CT; sagittal plane, index 364; image width 210 mm; Bone window (WL 400, WW 1800)
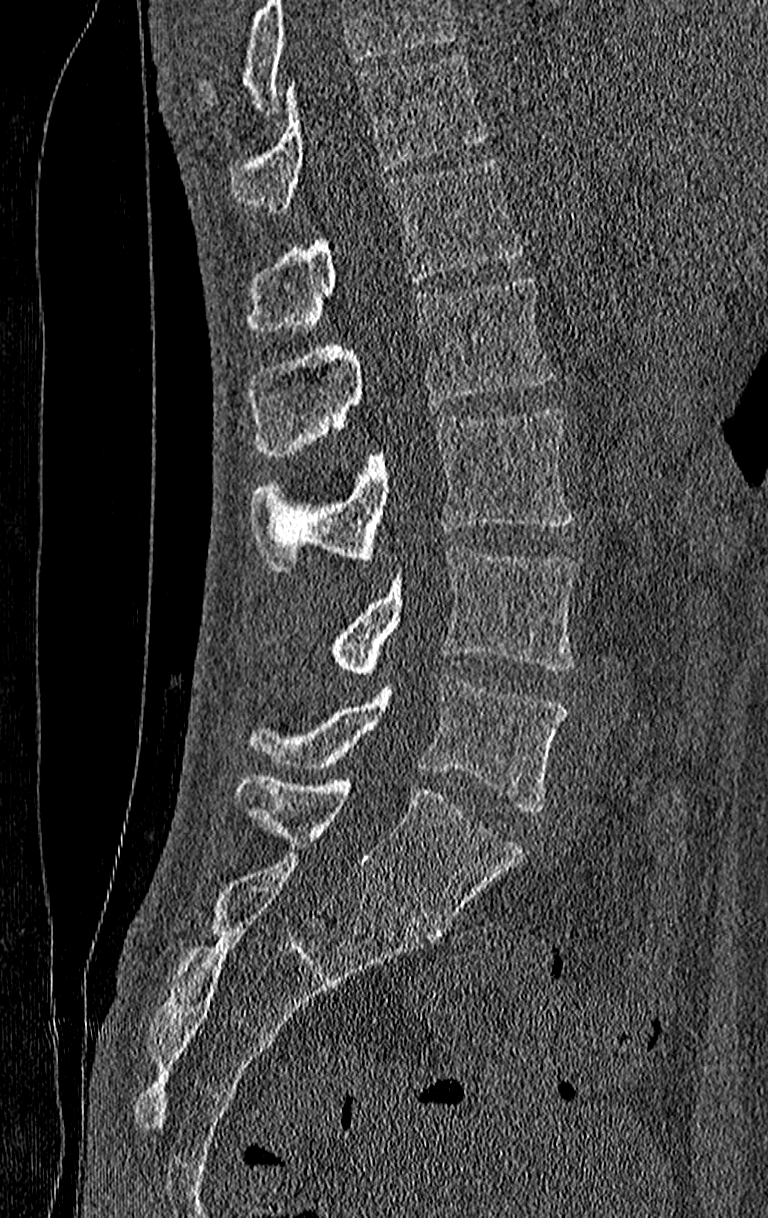 Boxes: x1:y1:x2:y2 in pixels. No box is given to a vertebra that the top edge of the scan cuts off. The highest labeled vertebra in this scan is T11; the lowest is L4. 6 vertebrae labeled — T11 at 229:53:488:211; T12 at 247:158:524:333; L1 at 247:278:554:457; L2 at 251:410:575:570; L3 at 331:546:579:677; L4 at 247:673:568:812.